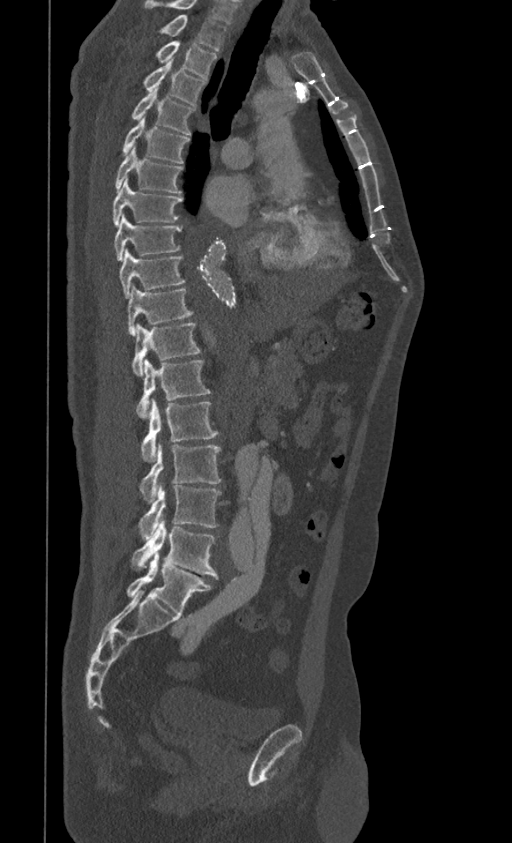 CT, spine — sagittal reformat — 512x843 px
Labels in this scan begin with T1 at the top and end with L5 at the bottom.
<vertebrae><v name="T1" x1="159" y1="14" x2="226" y2="50"/><v name="T2" x1="155" y1="42" x2="217" y2="79"/><v name="T3" x1="144" y1="61" x2="205" y2="106"/><v name="T4" x1="131" y1="90" x2="195" y2="135"/><v name="T5" x1="122" y1="118" x2="190" y2="163"/><v name="T6" x1="115" y1="147" x2="182" y2="194"/><v name="T7" x1="113" y1="180" x2="182" y2="227"/><v name="T8" x1="114" y1="215" x2="181" y2="261"/><v name="T9" x1="119" y1="249" x2="185" y2="298"/><v name="T10" x1="127" y1="285" x2="193" y2="335"/><v name="T11" x1="132" y1="322" x2="200" y2="375"/><v name="T12" x1="136" y1="359" x2="211" y2="418"/><v name="L1" x1="141" y1="400" x2="218" y2="462"/><v name="L2" x1="140" y1="443" x2="221" y2="503"/><v name="L3" x1="138" y1="484" x2="221" y2="539"/><v name="L4" x1="131" y1="519" x2="218" y2="578"/><v name="L5" x1="127" y1="552" x2="212" y2="613"/></vertebrae>